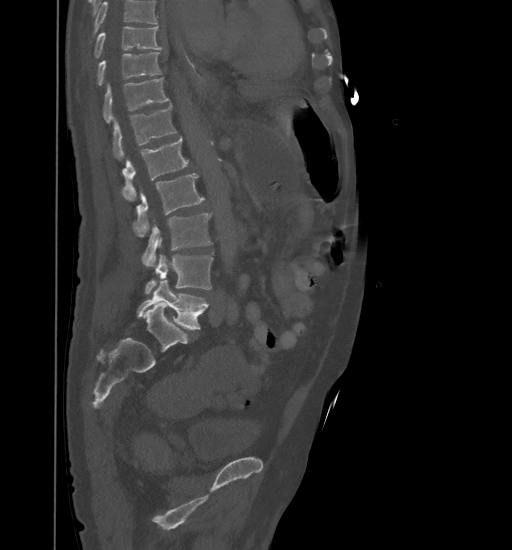 Spine computed tomography. sagittal view. bone-window reconstruction. Bounding boxes as [x1, y1, x2, y2] in pixel coordinates.
A vertebra cut off by the top edge of the scan is not labeled and has no box.
Vertebra bounding boxes:
- L5: [137, 280, 208, 329]
- L4: [144, 255, 213, 294]
- L3: [142, 213, 211, 267]
- L2: [134, 173, 204, 236]
- L1: [122, 137, 189, 200]
- T12: [113, 105, 177, 160]
- T11: [103, 78, 169, 123]
- T10: [96, 52, 161, 86]
- T9: [94, 27, 162, 58]